Computed tomography of the spine; image 140 mm wide; sagittal plane, index 222; W/L 1800/400 HU; 512x827 px
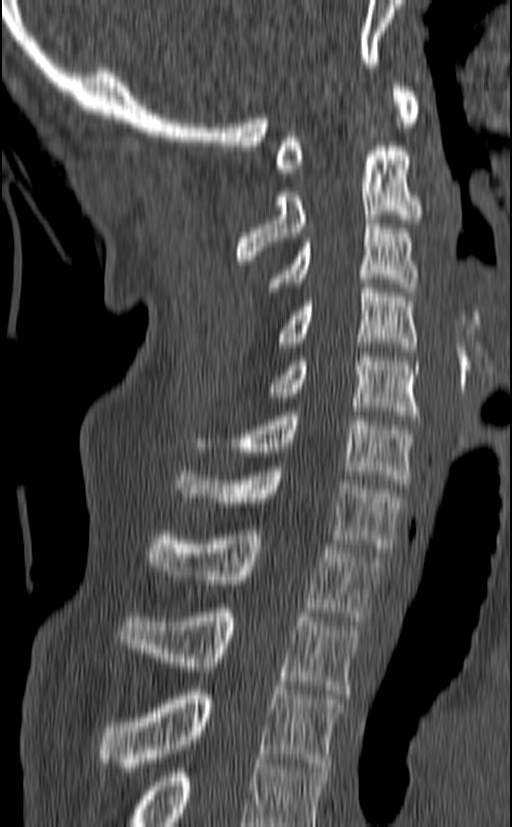

Boxes are (x1, y1, x2, y2) in pixels.
Labels in this scan begin with C1 at the top and end with T3 at the bottom.
C1: (276, 82, 421, 177)
C2: (235, 146, 424, 264)
C3: (268, 219, 417, 292)
C4: (279, 283, 417, 351)
C5: (268, 352, 421, 420)
C6: (195, 411, 414, 488)
C7: (177, 466, 403, 552)
T1: (148, 530, 381, 621)
T2: (118, 608, 359, 694)
T3: (96, 686, 344, 767)